Spine CT; image 346 mm wide; sagittal plane, index 72; bone-window reconstruction
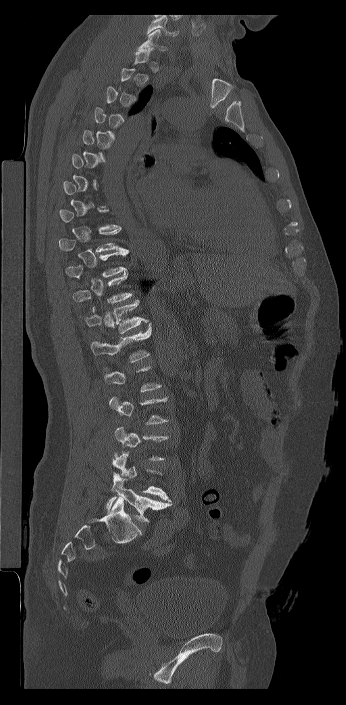
A vertebra is boxed only from the first to the last slice where its cross-section is at least a third of its largest; slices outside that range leave it without a box.
In this scan, the topmost labeled vertebra is C7 and the lowest is L6.
The labels name a sixth lumbar vertebra for this spine: L6, after L5.
<vertebrae><v name="C7" x1="137" y1="29" x2="166" y2="51"/><v name="T9" x1="59" y1="227" x2="123" y2="252"/><v name="T10" x1="65" y1="249" x2="129" y2="278"/><v name="T11" x1="73" y1="272" x2="132" y2="312"/><v name="T12" x1="84" y1="300" x2="148" y2="333"/><v name="L1" x1="89" y1="323" x2="151" y2="362"/><v name="L5" x1="112" y1="451" x2="169" y2="500"/><v name="L6" x1="106" y1="477" x2="171" y2="523"/></vertebrae>